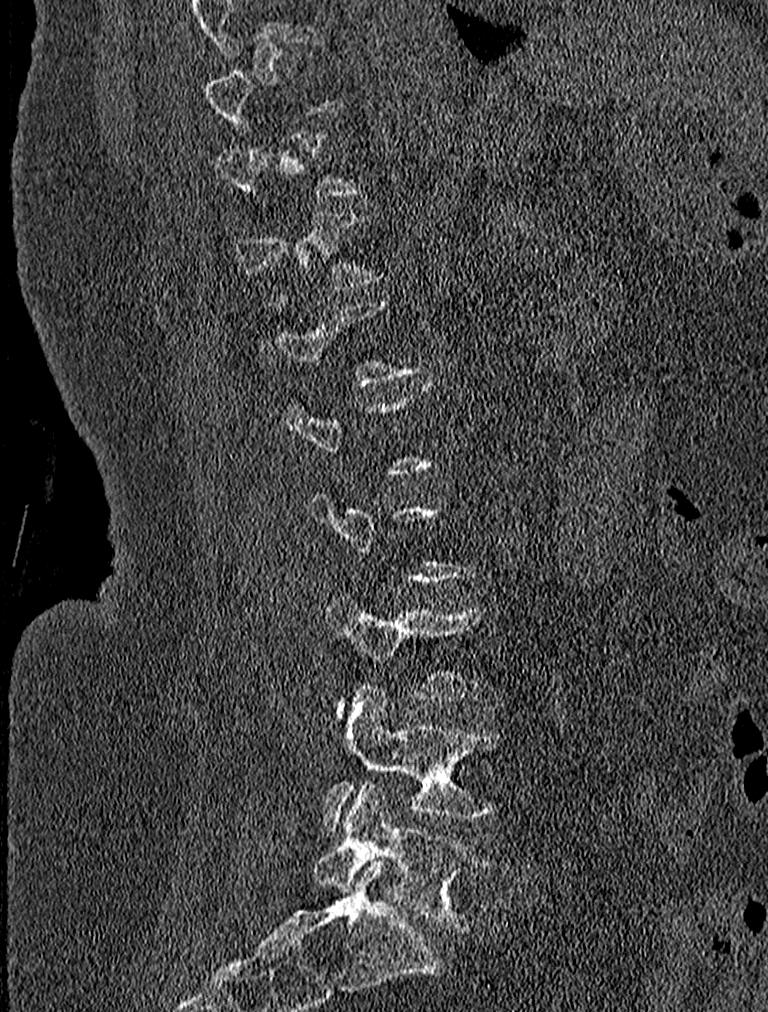
CT spine. sagittal reformat. bone-window reconstruction. 768x1012 px
Each row gives a vertebra's box as x1, y1, x2, y2 in pixels: top-left corner, then bottom-right corner.
A vertebra gets a box only on the slices from the first to the last where its cross-section is at least a third of its largest; on a slice outside that range it gets none.
| vertebra | x1 | y1 | x2 | y2 |
|---|---|---|---|---|
| L4 | 324 | 688 | 508 | 830 |
| L5 | 313 | 779 | 488 | 929 |